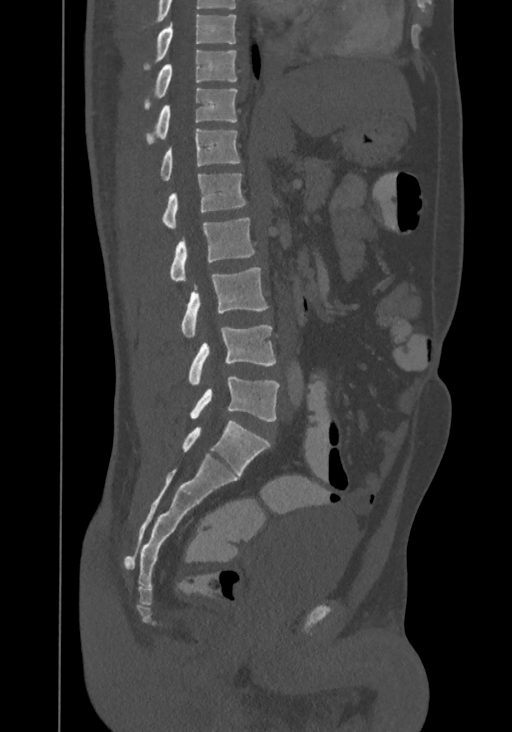 CT. sagittal view. W/L 1800/400 HU. 512x732 px. Boxes are (x1, y1, x2, y2) in pixels.
Labels in this scan begin with T8 at the top and end with L4 at the bottom.
L4: (190, 377, 279, 421)
L3: (188, 325, 275, 386)
L2: (181, 267, 268, 338)
L1: (170, 217, 254, 282)
T12: (163, 173, 246, 229)
T11: (160, 128, 240, 180)
T10: (146, 88, 237, 142)
T9: (145, 49, 236, 109)
T8: (145, 14, 236, 68)